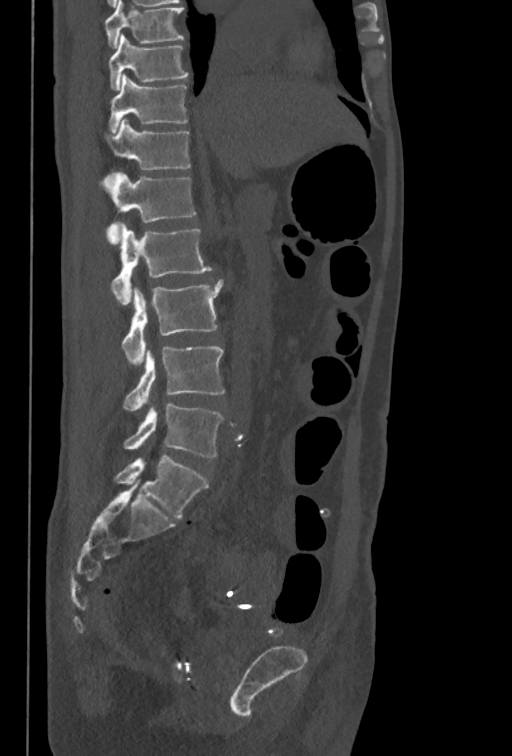 Spine CT — sagittal view — 512x756 px
Each box given as x1,y1,x2,y2.
This scan's labels start at T10 at the top and end at L5 at the bottom.
L5: x1=124, y1=403, x2=223, y2=457
L4: x1=123, y1=346, x2=224, y2=410
L3: x1=121, y1=279, x2=223, y2=364
L2: x1=111, y1=224, x2=212, y2=304
L1: x1=99, y1=171, x2=196, y2=244
T12: x1=105, y1=118, x2=190, y2=170
T11: x1=109, y1=74, x2=187, y2=133
T10: x1=108, y1=34, x2=187, y2=90